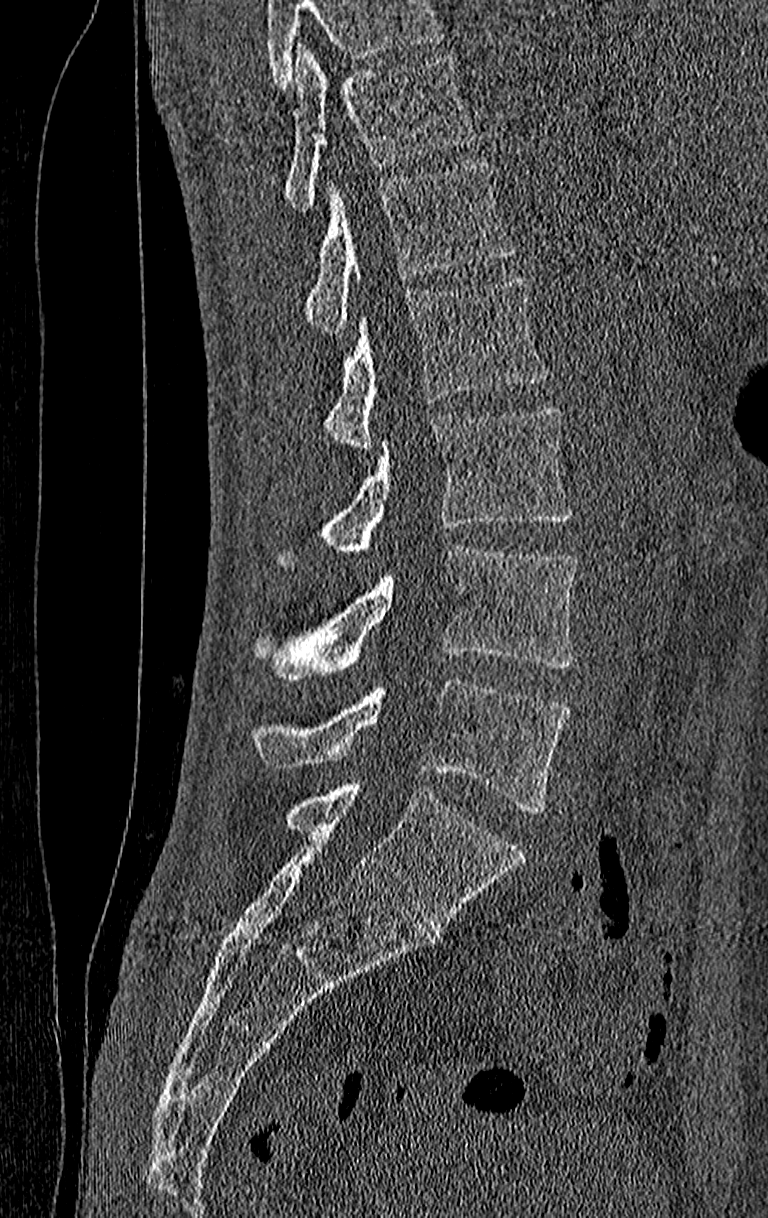 Spine computed tomography. sagittal view. 768x1218 px

Columns x1, y1, x2, y2 give each box's top-left and bottom-right pixels.
Vertebrae that run past the top of the scan are left unlabeled.
In this scan, the topmost labeled vertebra is T11 and the lowest is L4.
| vertebra | x1 | y1 | x2 | y2 |
|---|---|---|---|---|
| L4 | 247 | 678 | 568 | 812 |
| L3 | 251 | 546 | 579 | 680 |
| L2 | 277 | 406 | 572 | 567 |
| L1 | 320 | 275 | 550 | 450 |
| T12 | 302 | 161 | 517 | 333 |
| T11 | 284 | 44 | 477 | 211 |